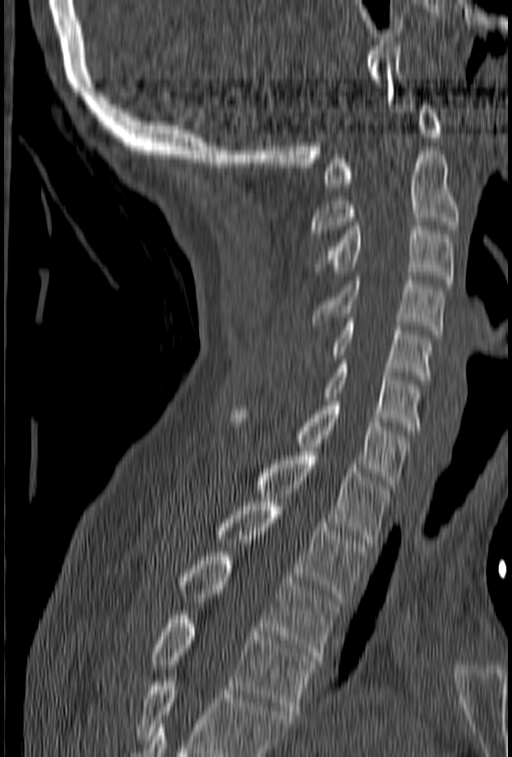
CT spine · sagittal view · 512x757 px
Bounding boxes as [x1, y1, x2, y2] in pixel coordinates.
No box is given to a vertebra that the bottom edge of the scan cuts off.
Vertebra bounding boxes:
- T4: [152, 615, 315, 714]
- T3: [182, 552, 338, 660]
- T2: [216, 502, 368, 601]
- T1: [254, 452, 388, 543]
- C7: [230, 397, 408, 488]
- C6: [324, 360, 422, 430]
- C5: [303, 314, 432, 380]
- C4: [313, 276, 445, 334]
- C3: [314, 226, 454, 283]
- C2: [312, 151, 459, 237]
- C1: [322, 105, 442, 187]